Spine computed tomography; sagittal reformat; Bone window (WL 400, WW 1800)
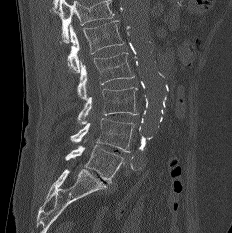

Boxes are given in columns x1, y1, x2, y2, the pixel coordinates of their top-left and bottom-right corners.
A vertebra cut off by the top edge of the scan is not labeled and has no box.
| vertebra | x1 | y1 | x2 | y2 |
|---|---|---|---|---|
| L1 | 68 | 20 | 124 | 72 |
| L2 | 77 | 52 | 134 | 99 |
| L3 | 77 | 87 | 139 | 123 |
| L4 | 70 | 118 | 134 | 152 |
| L5 | 65 | 145 | 124 | 184 |